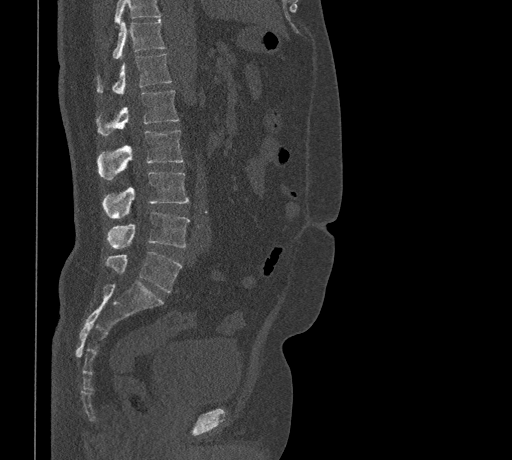
CT · sagittal view · bone-window reconstruction
Boxes: x1:y1:x2:y2 in pixels.
Vertebrae that run past the top of the scan are left unlabeled.
T11: 112:19:165:59
T12: 96:53:172:94
L1: 95:90:179:135
L2: 96:130:183:179
L3: 102:172:189:218
L4: 107:211:189:248
L5: 105:252:182:292